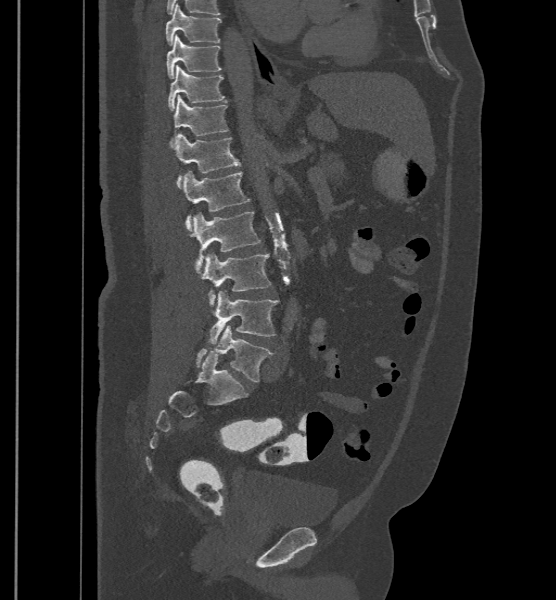
CT · image width 500 mm · sagittal view · 556x600 px

Boxes: x1:y1:x2:y2 in pixels.
These labels give the spine a sixth lumbar vertebra, L6, below L5.
T9: 166:3:221:45
T10: 167:34:221:78
T11: 168:64:226:110
T12: 170:94:228:146
L1: 174:133:240:187
L2: 182:171:250:231
L3: 191:211:261:273
L4: 202:253:271:306
L5: 207:290:278:343
L6: 195:326:274:381